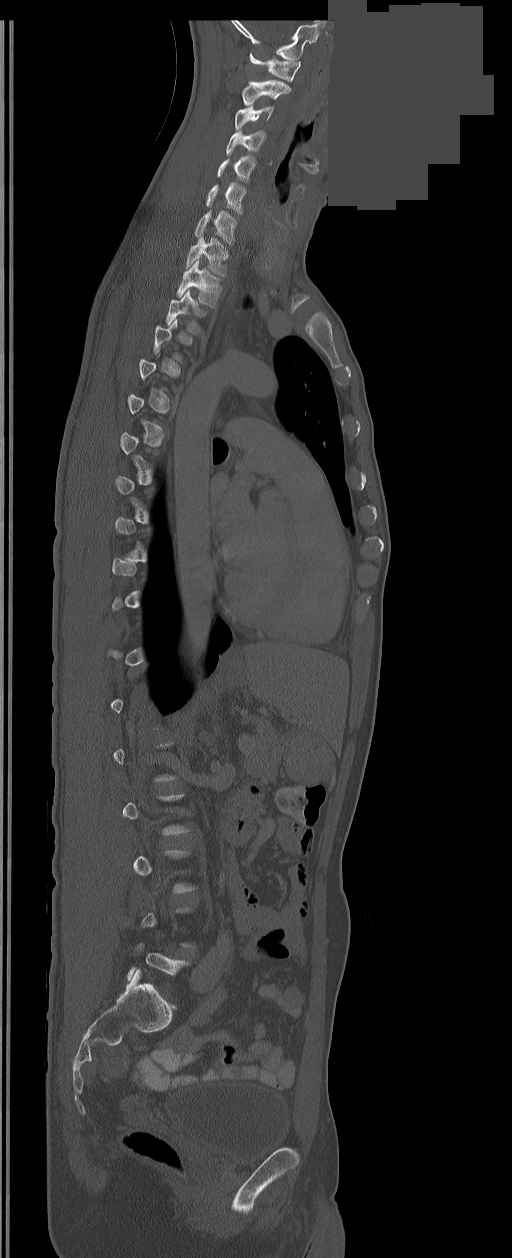
CT spine; sagittal reformat; bone-window reconstruction; 512x1258 px; an area of the scan was removed and filled with constant pixels

A vertebra is boxed only from the first to the last slice where its cross-section is at least a third of its largest; slices outside that range leave it without a box.
<vertebrae><v name="C1" x1="250" y1="53" x2="301" y2="81"/><v name="C2" x1="242" y1="80" x2="290" y2="105"/><v name="C3" x1="234" y1="105" x2="273" y2="129"/><v name="C4" x1="226" y1="130" x2="264" y2="154"/><v name="C5" x1="217" y1="155" x2="255" y2="182"/><v name="C6" x1="206" y1="183" x2="245" y2="214"/><v name="C7" x1="195" y1="211" x2="236" y2="244"/><v name="T1" x1="186" y1="236" x2="227" y2="276"/><v name="T2" x1="176" y1="261" x2="220" y2="308"/><v name="T3" x1="166" y1="290" x2="203" y2="336"/></vertebrae>